CT — sagittal view — 512x747 px
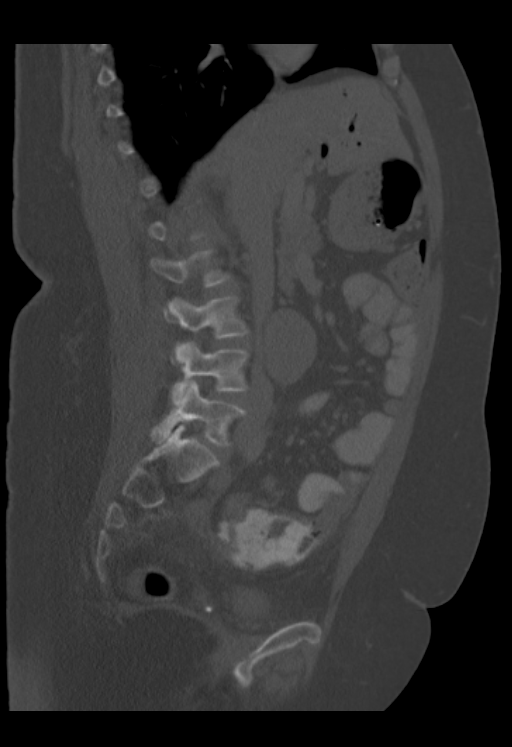

Boxes below are [x1, y1, x2, y2] in pixels.
A vertebra gets a box only on the slices from the first to the last where its cross-section is at least a third of its largest; on a slice outside that range it gets none.
{"vertebrae":{"L2":[151,250,230,286],"L3":[163,296,249,360],"L4":[172,341,249,404],"L5":[151,380,244,446]}}